CT · sagittal reformat
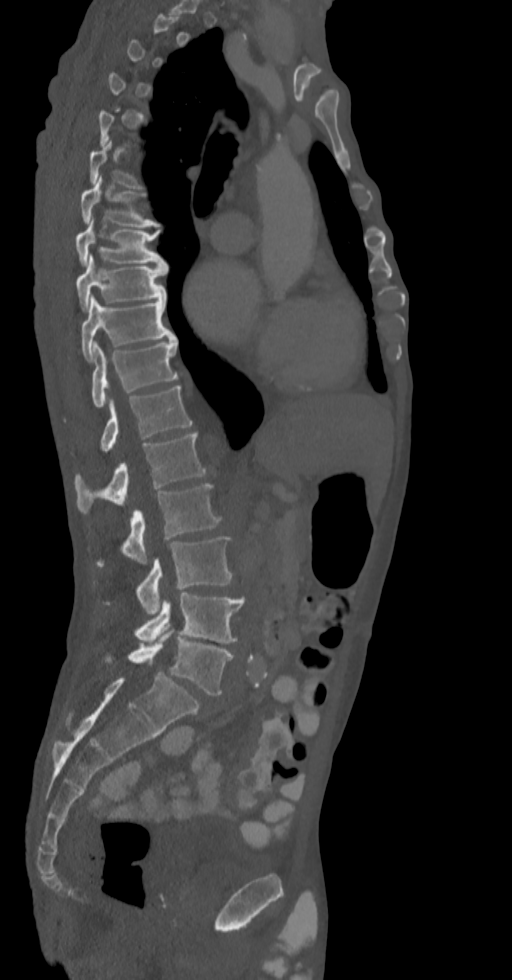

Each vertebra is boxed only on the slices from the first to the last where its cross-section reaches a third of its largest, so a slice outside that range leaves it unboxed.
<vertebrae><v name="L5" x1="105" y1="626" x2="233" y2="695"/><v name="L4" x1="134" y1="593" x2="244" y2="644"/><v name="L3" x1="135" y1="536" x2="232" y2="616"/><v name="L2" x1="97" y1="483" x2="221" y2="566"/><v name="L1" x1="74" y1="433" x2="206" y2="513"/><v name="T12" x1="100" y1="386" x2="192" y2="452"/><v name="T11" x1="91" y1="338" x2="177" y2="407"/><v name="T10" x1="82" y1="296" x2="175" y2="360"/><v name="T9" x1="76" y1="254" x2="168" y2="310"/><v name="T8" x1="76" y1="218" x2="166" y2="266"/><v name="T7" x1="80" y1="175" x2="159" y2="228"/></vertebrae>